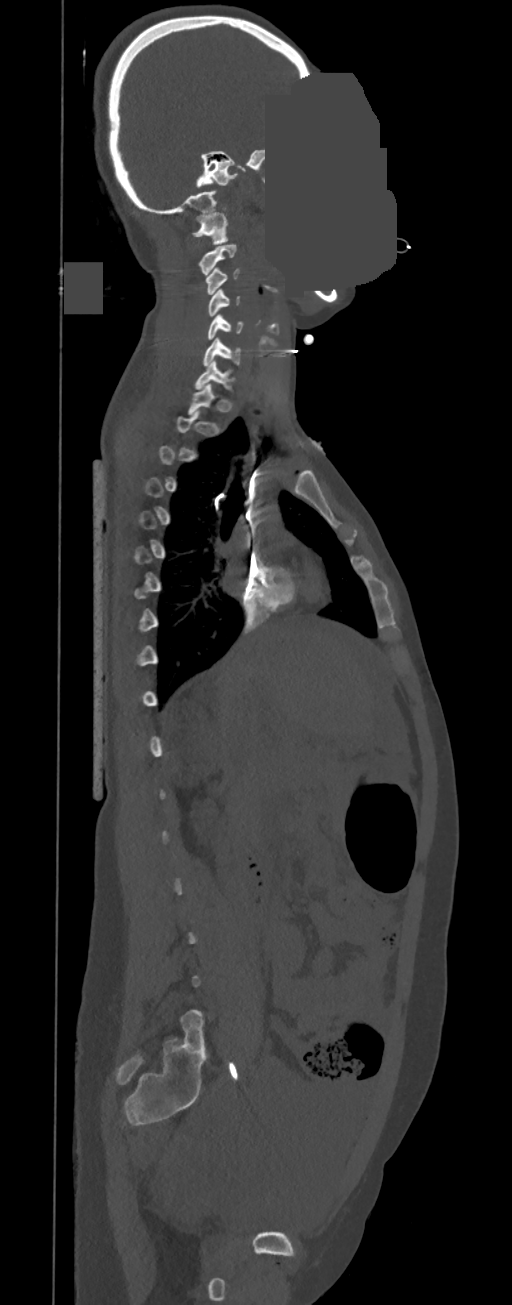

CT, spine. 350 mm across the image. sagittal view. a region is masked with a constant gray value

Boxes: x1 y1 x2 y2 (pixel coords, space-separated).
A vertebra is boxed only from the first to the last slice where its cross-section is at least a third of its largest; slices outside that range leave it without a box.
Vertebra bounding boxes:
- C7: 194 361 235 390
- C6: 203 337 240 366
- C5: 207 315 243 339
- C4: 207 288 240 316
- C3: 206 267 239 294
- C2: 199 244 236 275
- C1: 193 212 228 244